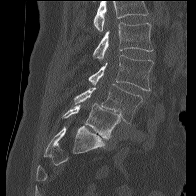
Spine computed tomography; sagittal view; bone-window reconstruction; 196x196 px

Each row gives a vertebra's box as x1, y1, x2, y2 in pixels: top-left corner, then bottom-right corner.
A vertebra cut off by the top edge of the scan is not labeled and has no box.
| vertebra | x1 | y1 | x2 | y2 |
|---|---|---|---|---|
| L5 | 62 | 103 | 121 | 139 |
| L4 | 74 | 84 | 143 | 123 |
| L3 | 88 | 55 | 153 | 91 |
| L2 | 93 | 22 | 153 | 60 |